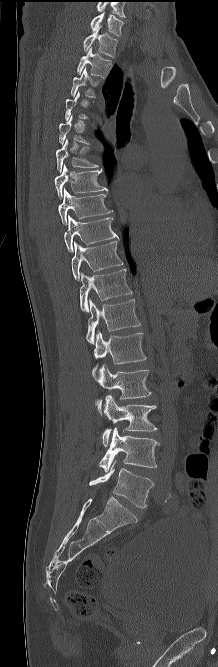 CT, spine. sagittal view. the image spans 218 mm across. bone-window reconstruction
Each row gives a vertebra's box as x1, y1, x2, y2 in pixels: top-left corner, then bottom-right corner.
Each vertebra is boxed only on the slices from the first to the last where its cross-section reaches a third of its largest, so a slice outside that range leaves it unboxed.
The highest labeled vertebra in this scan is C7; the lowest is L5.
| vertebra | x1 | y1 | x2 | y2 |
|---|---|---|---|---|
| L5 | 89 | 461 | 154 | 508 |
| L4 | 98 | 427 | 159 | 472 |
| L3 | 103 | 395 | 157 | 446 |
| L2 | 96 | 364 | 151 | 415 |
| L1 | 92 | 331 | 146 | 379 |
| T12 | 86 | 299 | 140 | 345 |
| T11 | 80 | 268 | 132 | 312 |
| T10 | 71 | 241 | 123 | 280 |
| T9 | 64 | 215 | 119 | 252 |
| T8 | 58 | 188 | 112 | 224 |
| T7 | 54 | 164 | 108 | 199 |
| T6 | 56 | 138 | 98 | 173 |
| T3 | 71 | 67 | 100 | 97 |
| T2 | 77 | 47 | 111 | 78 |
| T1 | 83 | 25 | 117 | 57 |
| C7 | 90 | 12 | 123 | 35 |